Spine CT; sagittal view; Bone window (WL 400, WW 1800)
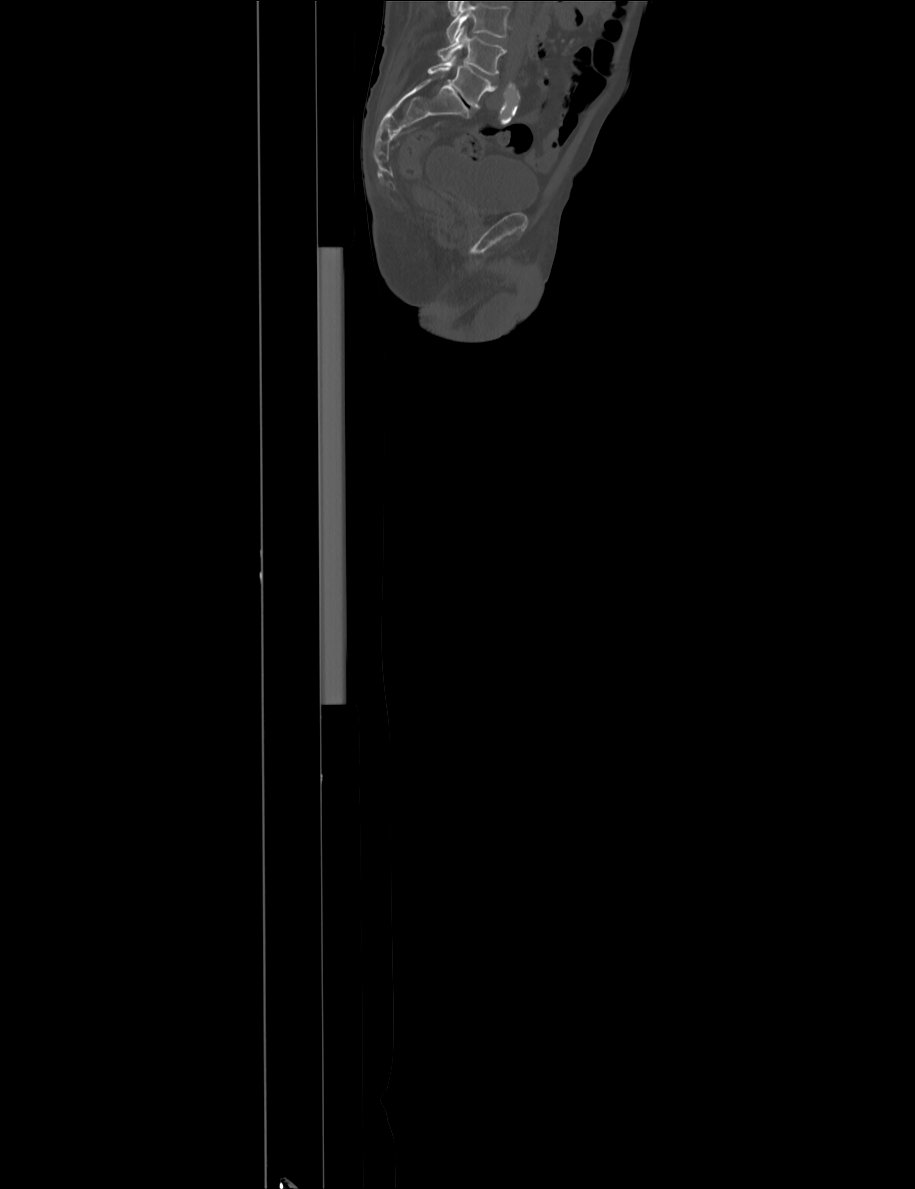

Where the top of the scan cuts through a vertebra, that vertebra gets no label or box.
<vertebrae><v name="L4" x1="437" y1="25" x2="506" y2="74"/><v name="L5" x1="428" y1="55" x2="497" y2="109"/></vertebrae>